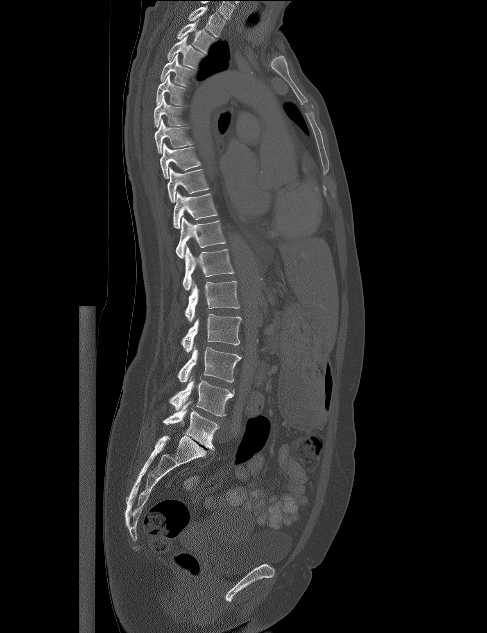
Spine computed tomography — sagittal view — Bone window (WL 400, WW 1800)

Boxes: x1 y1 x2 y2 (pixel coords, space-separated). 17 vertebrae labeled — T1 at 188 5 225 37; T2 at 176 19 217 53; T3 at 167 36 205 69; T4 at 160 54 196 86; T5 at 155 74 188 105; T6 at 154 95 188 128; T7 at 154 119 194 153; T8 at 160 143 201 178; T9 at 167 167 209 202; T10 at 173 192 218 228; T11 at 176 216 226 258; T12 at 182 246 234 290; L1 at 184 281 239 322; L2 at 180 314 241 352; L3 at 177 345 241 382; L4 at 168 376 234 416; L5 at 162 401 219 450.